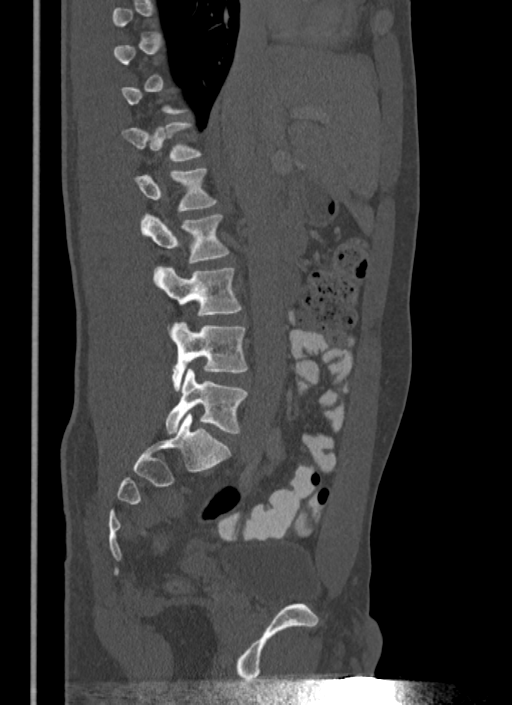
Spine CT · sagittal view · bone-window reconstruction. Coordinates as <box>x1,y1,x2,y2</box>.
A vertebra gets a box only on the slices from the first to the last where its cross-section is at least a third of its largest; on a slice outside that range it gets none.
Vertebra bounding boxes:
- T12: <box>122,122,201,160</box>
- L1: <box>132,169,216,210</box>
- L2: <box>141,214,228,263</box>
- L3: <box>153,267,241,315</box>
- L4: <box>168,322,247,391</box>
- L5: <box>165,369,247,434</box>